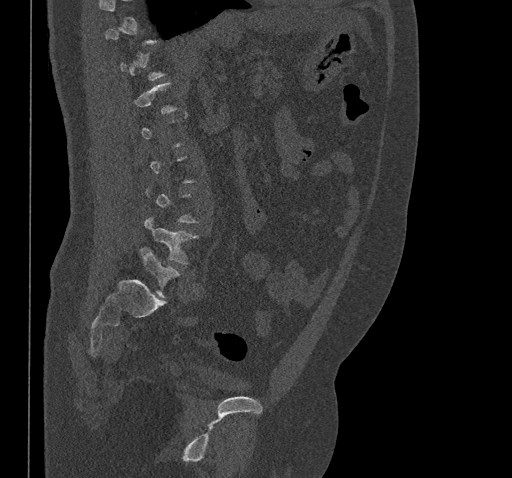
CT, spine. sagittal view
Boxes: x1:y1:x2:y2 in pixels.
Not every vertebra on this slice has a box: a vertebra is boxed only from the first to the last slice where its cross-section is at least a third of its largest, and this slice is outside that range for at least one of them.
Vertebra bounding boxes:
- L4: 144:217:197:264
- L5: 140:247:180:297